Spine computed tomography · sagittal plane, index 212 · 556x678 px
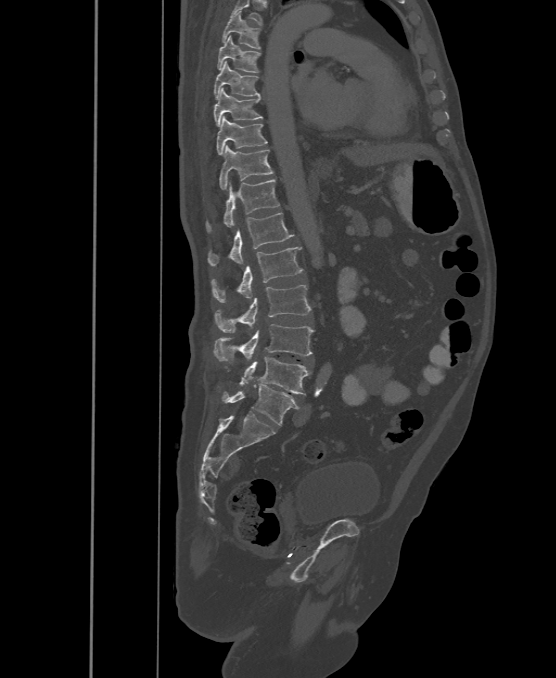
Each box given as x1,y1,x2,y2.
Labels in this scan begin with T6 at the top and end with L6 at the bottom.
These labels give the spine a sixth lumbar vertebra, L6, below L5.
Vertebra bounding boxes:
- T6: x1=221, y1=12, x2=261, y2=48
- T7: x1=217, y1=36, x2=261, y2=72
- T8: x1=214, y1=61, x2=259, y2=97
- T9: x1=214, y1=88, x2=263, y2=126
- T10: x1=216, y1=116, x2=267, y2=155
- T11: x1=219, y1=145, x2=274, y2=189
- T12: x1=205, y1=179, x2=279, y2=232
- L1: x1=207, y1=213, x2=293, y2=266
- L2: x1=212, y1=247, x2=303, y2=302
- L3: x1=215, y1=285, x2=310, y2=332
- L4: x1=214, y1=324, x2=314, y2=360
- L5: x1=240, y1=357, x2=312, y2=394
- L6: x1=222, y1=384, x2=298, y2=425